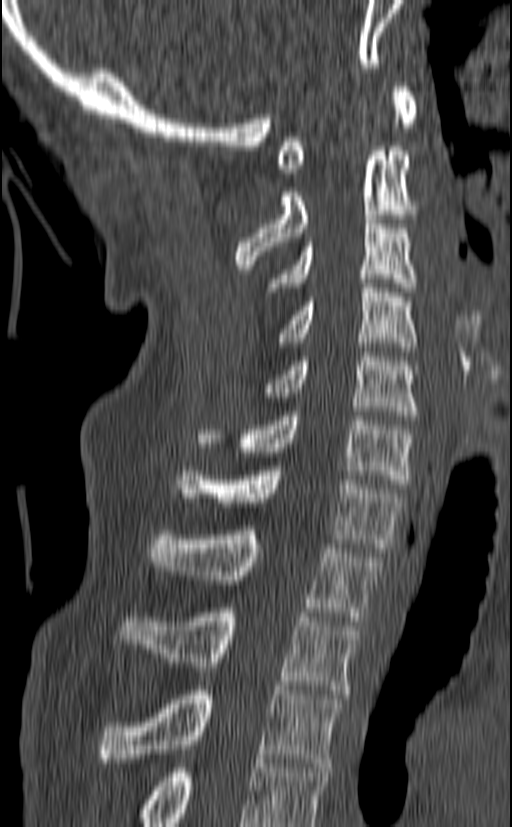

Spine computed tomography — sagittal view — the image is 140 mm wide — bone window
The highest labeled vertebra in this scan is C1; the lowest is T3.
<vertebrae><v name="C1" x1="276" y1="87" x2="417" y2="173"/><v name="C2" x1="235" y1="146" x2="418" y2="269"/><v name="C3" x1="267" y1="219" x2="416" y2="292"/><v name="C4" x1="279" y1="283" x2="417" y2="351"/><v name="C5" x1="262" y1="352" x2="418" y2="420"/><v name="C6" x1="195" y1="411" x2="414" y2="488"/><v name="C7" x1="177" y1="466" x2="403" y2="552"/><v name="T1" x1="149" y1="530" x2="381" y2="621"/><v name="T2" x1="118" y1="608" x2="359" y2="694"/><v name="T3" x1="96" y1="686" x2="342" y2="767"/></vertebrae>